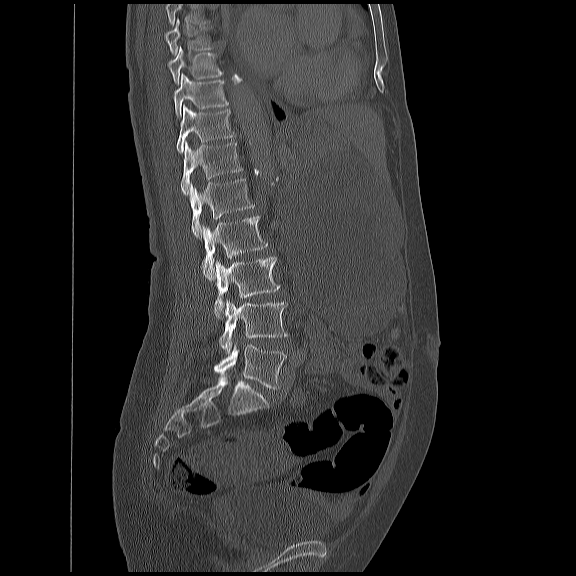
CT, spine — sagittal view — W/L 1800/400 HU. Box edges are left/top/right/bottom in pixels. Where the top of the scan cuts through a vertebra, that vertebra gets no label or box. The labeled vertebrae in this slice are: T8 at left=163, top=18, right=214, bottom=54, T9 at left=167, top=46, right=221, bottom=84, T10 at left=172, top=73, right=228, bottom=116, T11 at left=175, top=105, right=234, bottom=152, T12 at left=180, top=140, right=242, bottom=194, L1 at left=188, top=177, right=253, bottom=237, L2 at left=199, top=215, right=266, bottom=280, L3 at left=213, top=255, right=279, bottom=319, L4 at left=218, top=299, right=286, bottom=353, L5 at left=213, top=342, right=285, bottom=388.